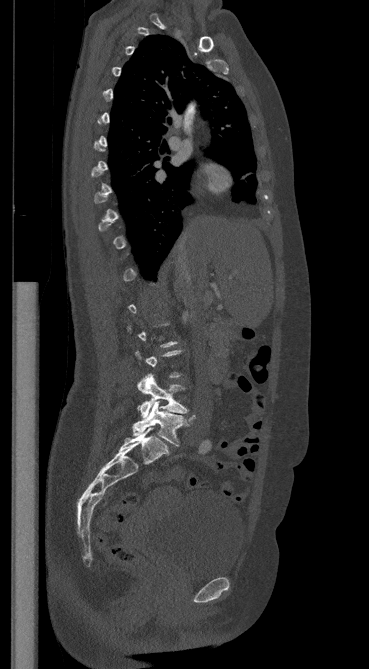 Spine CT; sagittal view; bone-window reconstruction

Each vertebra is boxed only on the slices from the first to the last where its cross-section reaches a third of its largest, so a slice outside that range leaves it unboxed.
<vertebrae><v name="L4" x1="138" y1="374" x2="187" y2="418"/><v name="L5" x1="132" y1="401" x2="195" y2="446"/></vertebrae>